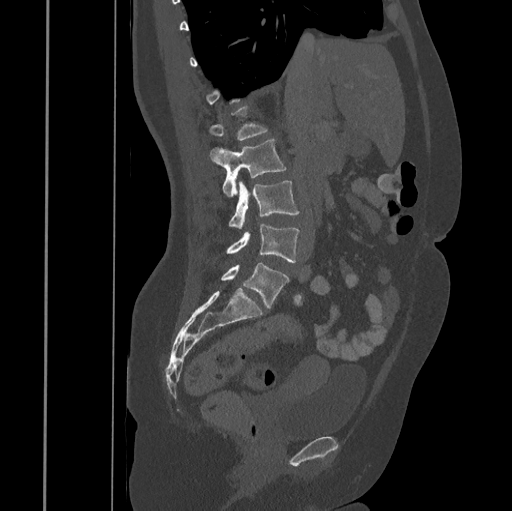

CT — sagittal view — bone window — 512x511 px. Each row gives a vertebra's box as x1, y1, x2, y2 in pixels: top-left corner, then bottom-right corner.
| vertebra | x1 | y1 | x2 | y2 |
|---|---|---|---|---|
| L5 | 221 | 262 | 289 | 309 |
| L4 | 225 | 224 | 299 | 262 |
| L3 | 228 | 180 | 299 | 228 |
| L2 | 210 | 139 | 287 | 197 |
| L1 | 208 | 106 | 268 | 140 |